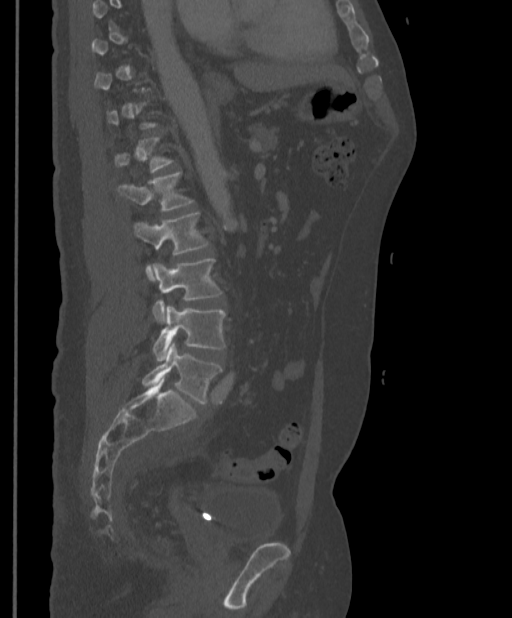

CT · sagittal view. Coordinates as <box>x1,y1,x2,y2</box>. A vertebra gets a box only on the slices from the first to the last where its cross-section is at least a third of its largest; on a slice outside that range it gets none. 5 vertebrae labeled — L1 at <box>117,172,192,211</box>; L2 at <box>133,213,208,280</box>; L3 at <box>152,258,222,323</box>; L4 at <box>152,306,225,361</box>; L5 at <box>142,342,222,404</box>.